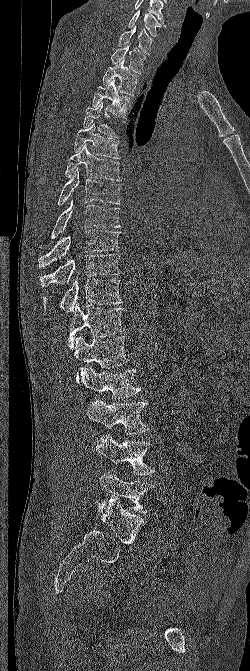
Spine computed tomography. the image is 250 mm wide. sagittal reformat. bone window. Boxes: x1 y1 x2 y2 (pixel coords, space-separated).
This scan's labels start at C6 at the top and end at L5 at the bottom.
Vertebra bounding boxes:
- L5: 98 470 154 512
- L4: 96 433 154 475
- L3: 86 399 149 434
- L2: 78 365 141 399
- L1: 74 335 129 383
- T12: 67 304 124 350
- T11: 43 278 122 313
- T10: 39 254 121 287
- T9: 38 229 121 267
- T8: 50 200 121 238
- T7: 57 168 120 205
- T6: 65 144 121 181
- T5: 74 123 120 159
- T4: 83 101 117 137
- T3: 92 79 130 117
- T2: 102 59 138 95
- T1: 111 42 146 74
- C7: 118 25 153 54
- C6: 128 10 167 36